CT, spine. sagittal reformat. image width 412 mm. bone window
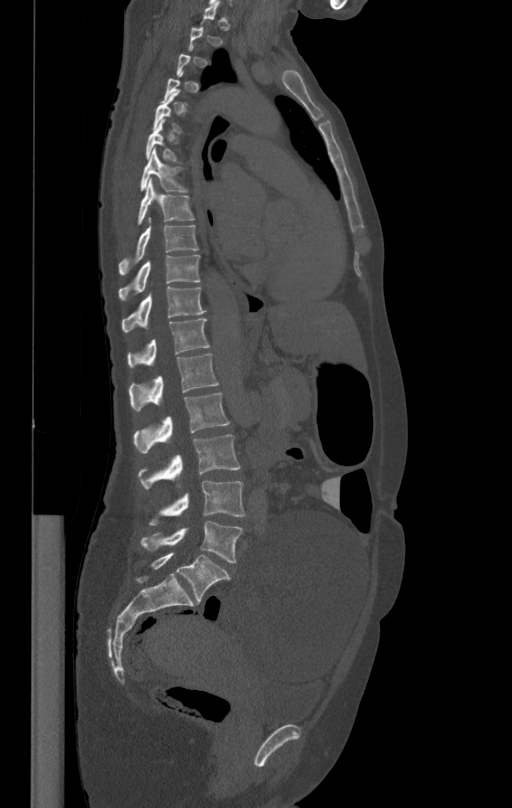
Box values are [left, top, right, bottom] in pixels.
Each vertebra is boxed only on the slices from the first to the last where its cross-section reaches a third of its largest, so a slice outside that range leaves it unboxed.
{"vertebrae":{"T6":[145,121,180,162],"T7":[141,149,188,191],"T8":[137,180,194,225],"T9":[118,218,199,274],"T10":[118,255,200,301],"T11":[122,286,206,332],"T12":[127,318,209,368],"L1":[129,352,219,411],"L2":[133,393,230,452],"L3":[138,435,240,489],"L4":[148,481,245,526],"L5":[140,520,242,563]}}